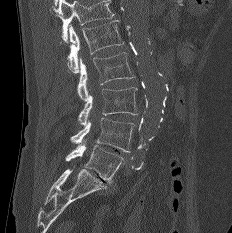
CT, spine; sagittal view; 232x233 px
Boxes below are [x1, y1, x2, y2] in pixels.
Where the top of the scan cuts through a vertebra, that vertebra gets no label or box.
{"vertebrae":{"L1":[68,20,123,72],"L2":[77,52,134,101],"L3":[77,87,138,125],"L4":[70,118,135,152],"L5":[65,144,124,184]}}